Spine CT. sagittal plane, index 264. W/L 1800/400 HU. 512x696 px
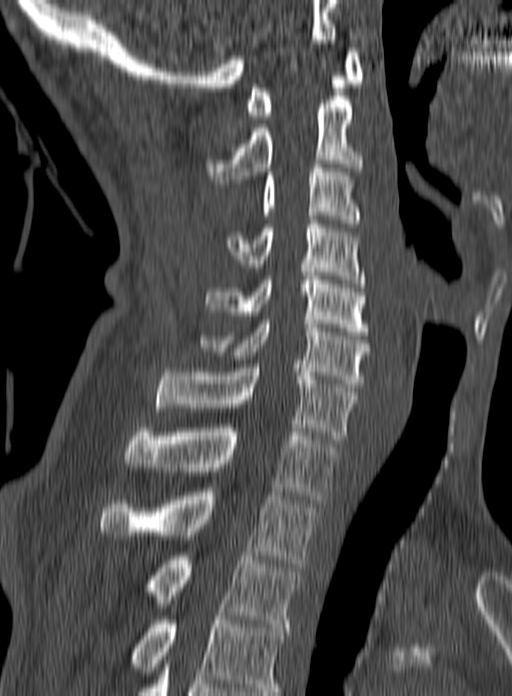
Boxes: x1 y1 x2 y2 (pixel coords, space-separated). Labels in this scan begin with C1 at the top and end with T3 at the bottom. The labeled vertebrae in this slice are: T3 at 142 552 301 627, T2 at 100 492 317 567, T1 at 124 424 339 499, C7 at 155 364 356 443, C6 at 201 320 370 387, C5 at 206 276 368 335, C4 at 225 220 365 287, C3 at 260 164 361 223, C2 at 206 100 362 183, C1 at 245 48 363 119.